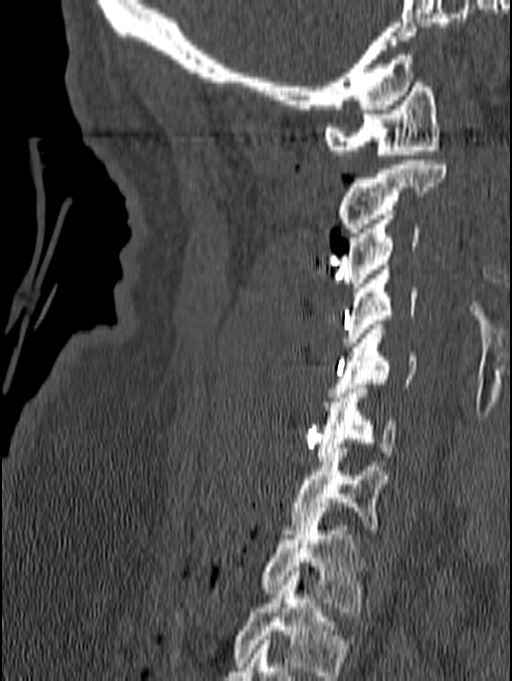

Spine computed tomography; sagittal view
Each row gives a vertebra's box as x1, y1, x2, y2 in pixels: top-left corner, then bottom-right corner.
In this scan, the topmost labeled vertebra is C1 and the lowest is T1.
| vertebra | x1 | y1 | x2 | y2 |
|---|---|---|---|---|
| C1 | 325 | 78 | 440 | 159 |
| C2 | 338 | 160 | 446 | 237 |
| C3 | 342 | 210 | 419 | 292 |
| C4 | 342 | 265 | 416 | 346 |
| C5 | 329 | 325 | 417 | 397 |
| C6 | 316 | 384 | 395 | 461 |
| C7 | 282 | 448 | 388 | 534 |
| T1 | 261 | 517 | 365 | 612 |